Computed tomography of the spine · sagittal view
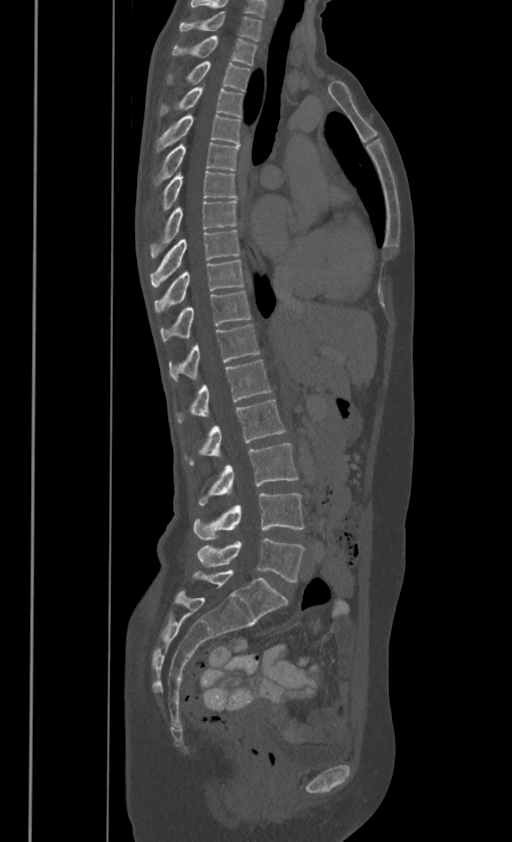 These labels give this spine no T12: after T11 the next vertebra is L1.
<vertebrae><v name="L5" x1="197" y1="538" x2="304" y2="582"/><v name="L4" x1="193" y1="493" x2="304" y2="540"/><v name="L3" x1="199" y1="443" x2="297" y2="505"/><v name="L2" x1="186" y1="399" x2="284" y2="465"/><v name="L1" x1="176" y1="359" x2="271" y2="423"/><v name="T11" x1="168" y1="324" x2="259" y2="377"/><v name="T10" x1="160" y1="290" x2="251" y2="340"/><v name="T9" x1="155" y1="258" x2="243" y2="312"/><v name="T8" x1="151" y1="229" x2="239" y2="286"/><v name="T7" x1="151" y1="199" x2="236" y2="256"/><v name="T6" x1="162" y1="170" x2="235" y2="208"/><v name="T5" x1="155" y1="142" x2="238" y2="183"/><v name="T4" x1="156" y1="113" x2="240" y2="149"/><v name="T3" x1="160" y1="86" x2="243" y2="115"/><v name="T2" x1="168" y1="60" x2="250" y2="90"/><v name="T1" x1="172" y1="35" x2="256" y2="63"/><v name="C7" x1="179" y1="11" x2="261" y2="40"/></vertebrae>